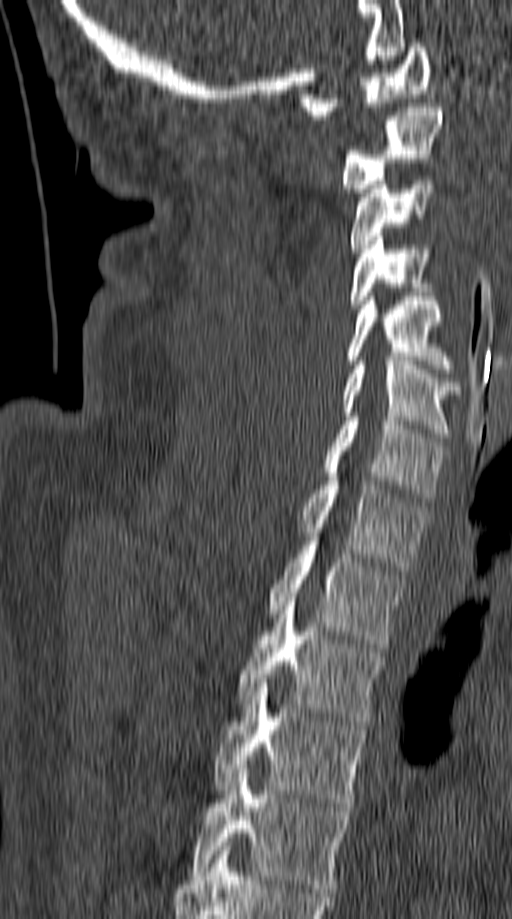

CT; sagittal reformat; W/L 1800/400 HU; 512x919 px

Boxes are (x1, y1, x2, y2) in pixels.
C1: (299, 43, 431, 119)
C2: (341, 103, 443, 192)
C3: (350, 176, 434, 252)
C4: (350, 232, 430, 308)
C5: (347, 296, 454, 373)
C6: (341, 357, 460, 437)
C7: (323, 417, 447, 502)
T1: (298, 477, 426, 570)
T2: (268, 541, 406, 648)
T3: (238, 597, 385, 729)
T4: (214, 683, 368, 807)
T5: (190, 769, 351, 892)